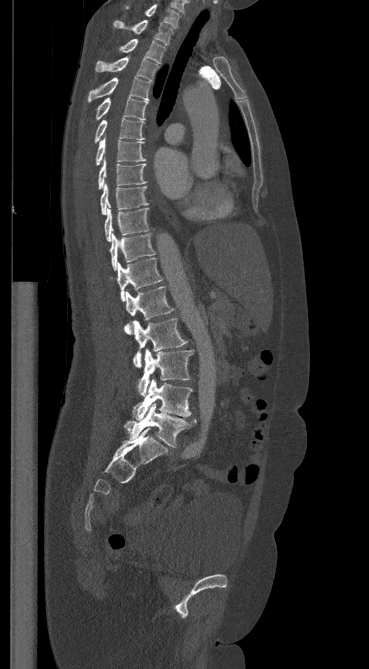

Computed tomography of the spine · sagittal reformat · image width 369 mm · W/L 1800/400 HU
Boxes: x1:y1:x2:y2 in pixels.
L5: 124:403:196:447
L4: 132:379:192:421
L3: 137:349:192:396
L2: 133:318:186:367
L1: 124:286:173:334
T12: 117:258:162:301
T11: 110:233:154:270
T10: 104:205:149:241
T9: 100:183:147:214
T8: 98:159:146:188
T7: 95:138:146:165
T6: 94:118:144:142
T5: 96:97:148:120
T4: 88:77:149:101
T3: 96:57:157:81
T2: 119:39:165:63
T1: 114:20:172:44
C7: 127:4:179:28